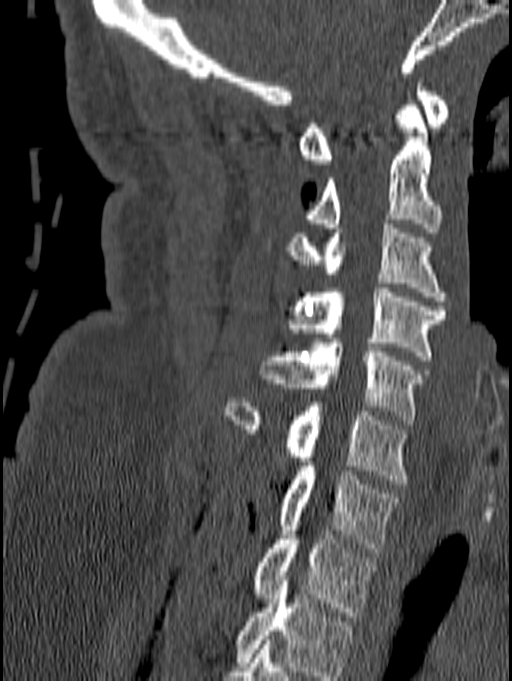
Spine CT; sagittal view; 512x681 px
Boxes: x1 y1 x2 y2 (pixel coords, space-separated). In this scan, the topmost labeled vertebra is C1 and the lowest is T1. 8 vertebrae labeled — C1 at 298 78 450 164; C2 at 305 101 443 232; C3 at 284 219 448 301; C4 at 289 288 447 360; C5 at 261 338 425 424; C6 at 225 398 408 484; C7 at 276 462 399 552; T1 at 250 521 377 616.